Computed tomography of the spine · Sagittal slice 278/512 · bone-window reconstruction · 512x637 px · 399 mm wide · scan covers 8 annotated vertebrae
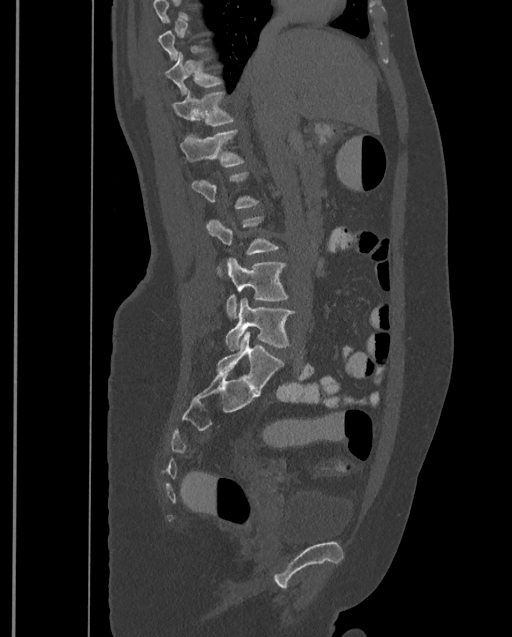
Each box given as x1,y1,x2,y2.
Not every vertebra on this slice has a box: a vertebra is boxed only from the first to the last slice where its cross-section is at least a third of its largest, and this slice is outside that range for at least one of them.
In this scan, the topmost labeled vertebra is T9 and the lowest is L4.
| vertebra | x1 | y1 | x2 | y2 |
|---|---|---|---|---|
| T10 | 164 | 52 | 220 | 95 |
| T11 | 172 | 91 | 232 | 126 |
| T12 | 180 | 129 | 243 | 166 |
| L3 | 224 | 258 | 288 | 319 |
| L4 | 226 | 298 | 294 | 350 |